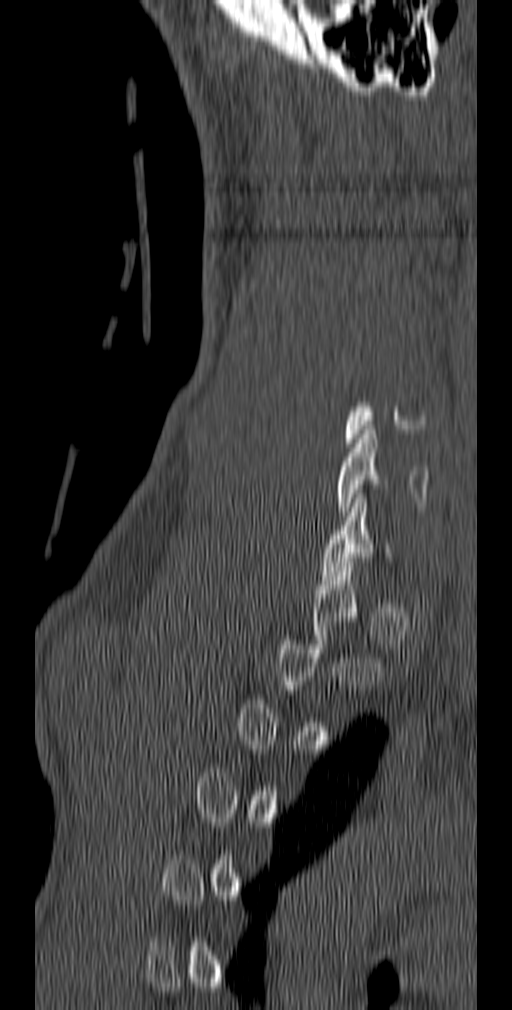 CT spine · sagittal reformat
In the table, x1 and y1 are a box's top-left corner and x2 and y2 its bottom-right corner, in pixels.
A vertebra is boxed only from the first to the last slice where its cross-section is at least a third of its largest; slices outside that range leave it without a box.
| vertebra | x1 | y1 | x2 | y2 |
|---|---|---|---|---|
| C6 | 337 | 430 | 429 | 516 |
| C7 | 321 | 498 | 395 | 580 |